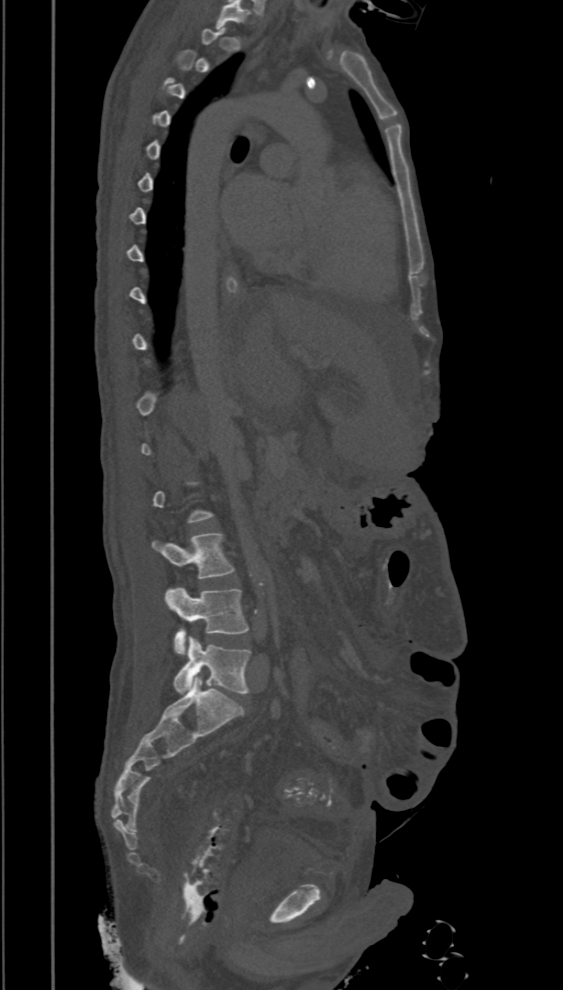
Computed tomography of the spine — sagittal view
A vertebra is boxed only from the first to the last slice where its cross-section is at least a third of its largest; slices outside that range leave it without a box.
<vertebrae><v name="L3" x1="152" y1="533" x2="234" y2="578"/><v name="L4" x1="164" y1="587" x2="247" y2="654"/><v name="L5" x1="174" y1="636" x2="251" y2="694"/></vertebrae>